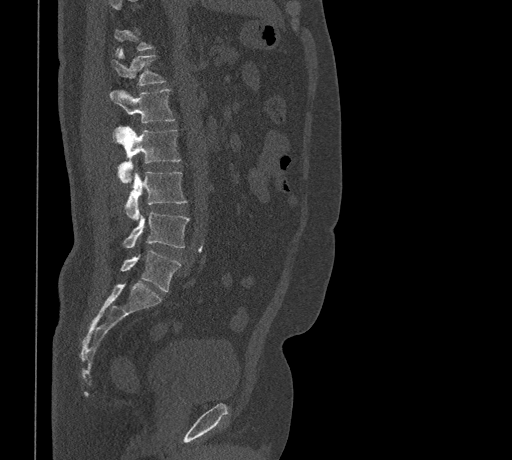 CT spine. 461 mm across the image. sagittal reformat
Each vertebra is boxed only on the slices from the first to the last where its cross-section reaches a third of its largest, so a slice outside that range leaves it unboxed.
<vertebrae><v name="T12" x1="111" y1="50" x2="165" y2="86"/><v name="L1" x1="110" y1="89" x2="174" y2="122"/><v name="L2" x1="113" y1="127" x2="180" y2="181"/><v name="L3" x1="125" y1="171" x2="186" y2="220"/><v name="L4" x1="123" y1="209" x2="189" y2="248"/><v name="L5" x1="120" y1="251" x2="181" y2="291"/></vertebrae>